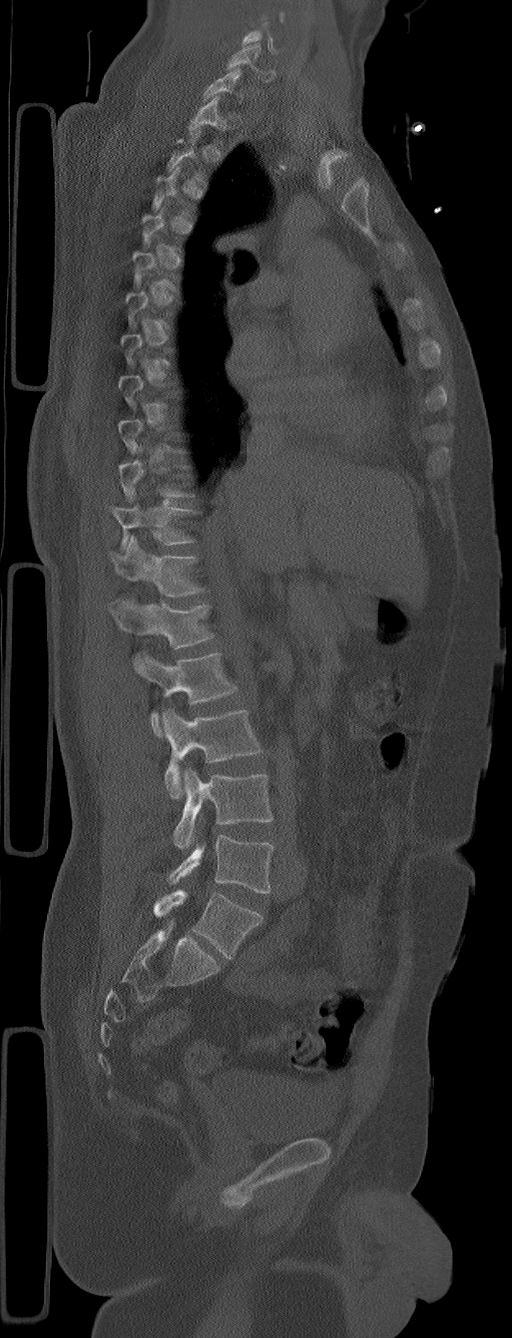

CT, spine; sagittal view
Boxes are (x1, y1, x2, y2) in pixels.
A vertebra is boxed only from the first to the last slice where its cross-section is at least a third of its largest; slices outside that range leave it without a box.
This scan's labels start at C5 at the top and end at L6 at the bottom.
The labels name a sixth lumbar vertebra for this spine: L6, after L5.
L6: (153, 890, 261, 958)
L5: (168, 835, 273, 892)
L4: (173, 768, 273, 849)
L3: (163, 709, 263, 798)
L2: (133, 652, 238, 737)
L1: (108, 598, 214, 649)
T12: (109, 535, 204, 597)
T11: (109, 504, 196, 551)
C6: (227, 44, 275, 81)
C5: (241, 22, 276, 53)